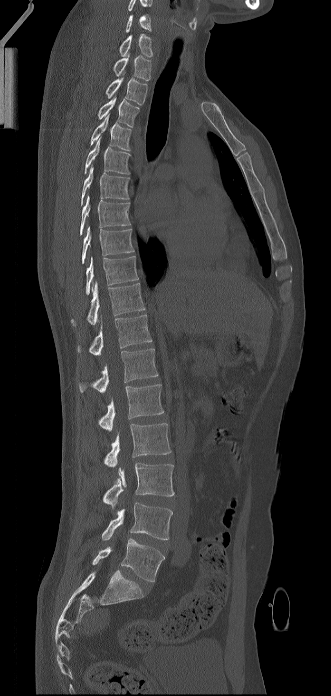
Spine computed tomography. sagittal view. bone window. 331x696 px. Boxes: x1:y1:x2:y2 in pixels.
This scan's labels start at C6 at the top and end at L5 at the bottom.
Vertebra bounding boxes:
- L5: 92:538:164:582
- L4: 101:502:172:540
- L3: 103:463:174:508
- L2: 104:423:171:467
- L1: 98:384:163:431
- T12: 79:348:158:392
- T11: 77:314:151:355
- T10: 71:281:145:326
- T9: 86:256:138:294
- T8: 82:227:134:263
- T7: 80:195:130:234
- T6: 81:165:129:205
- T5: 84:137:130:174
- T4: 90:115:131:150
- T3: 98:97:139:127
- T2: 106:77:147:105
- T1: 113:55:151:80
- C7: 119:34:152:57
- C6: 125:14:151:32